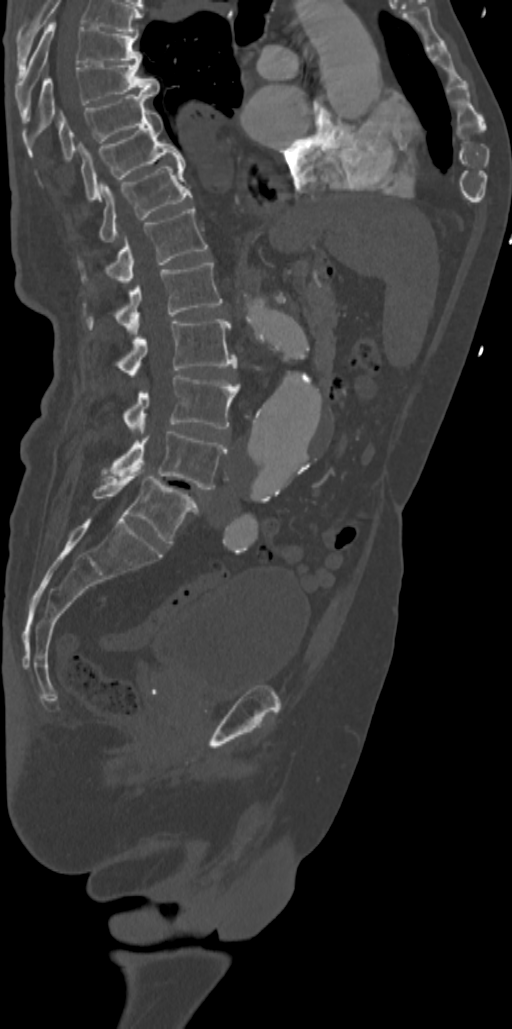 CT, spine. sagittal view. bone window
Labels in this scan begin with T7 at the top and end with L5 at the bottom.
<vertebrae><v name="L5" x1="93" y1="472" x2="198" y2="543"/><v name="L4" x1="109" y1="431" x2="226" y2="489"/><v name="L3" x1="123" y1="375" x2="238" y2="433"/><v name="L2" x1="115" y1="319" x2="237" y2="376"/><v name="L1" x1="82" y1="261" x2="222" y2="331"/><v name="T12" x1="78" y1="207" x2="207" y2="282"/><v name="T11" x1="99" y1="162" x2="192" y2="242"/><v name="T10" x1="81" y1="110" x2="184" y2="201"/><v name="T9" x1="58" y1="90" x2="155" y2="161"/><v name="T8" x1="26" y1="61" x2="160" y2="138"/><v name="T7" x1="15" y1="20" x2="141" y2="120"/></vertebrae>